Computed tomography of the spine — sagittal reformat — Bone window (WL 400, WW 1800) — 768x1218 px
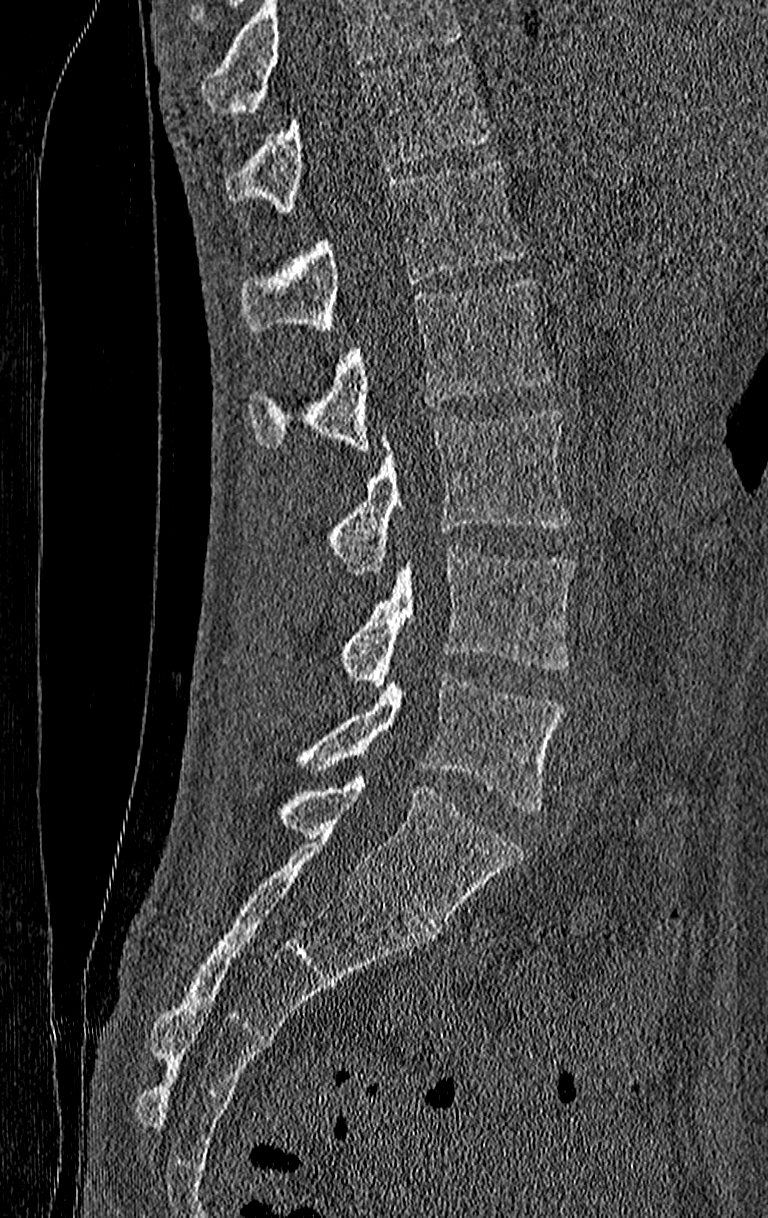 Box edges are left/top/right/bottom in pixels.
No box is given to a vertebra that the top edge of the scan cuts off.
This scan's labels start at T11 at the top and end at L4 at the bottom.
T11: left=225, top=56, right=491, bottom=211
T12: left=240, top=158, right=524, bottom=333
L1: left=247, top=278, right=550, bottom=450
L2: left=328, top=410, right=572, bottom=573
L3: left=342, top=546, right=575, bottom=687
L4: left=295, top=673, right=565, bottom=812